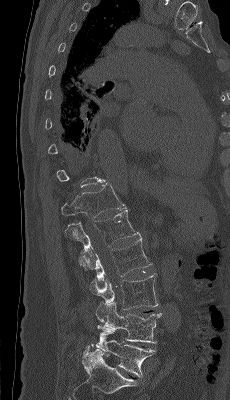
CT spine — sagittal view — W/L 1800/400 HU — the image spans 230 mm across
Not every vertebra on this slice has a box: a vertebra is boxed only from the first to the last slice where its cross-section is at least a third of its largest, and this slice is outside that range for at least one of them.
<vertebrae><v name="T12" x1="61" y1="183" x2="126" y2="219"/><v name="L1" x1="65" y1="209" x2="140" y2="269"/><v name="L2" x1="79" y1="236" x2="152" y2="282"/><v name="L3" x1="89" y1="273" x2="158" y2="309"/><v name="L4" x1="95" y1="302" x2="161" y2="343"/><v name="L5" x1="91" y1="328" x2="155" y2="377"/></vertebrae>